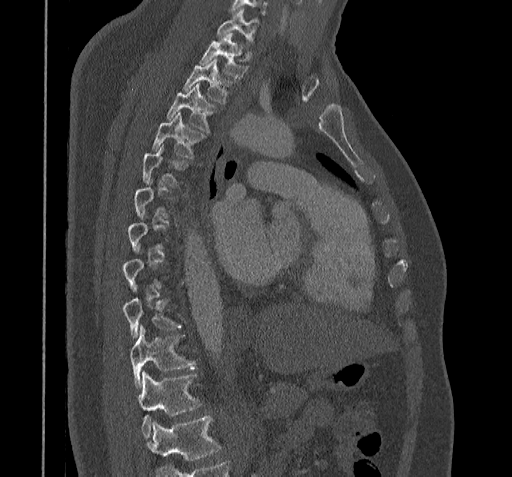
CT spine — sagittal view — bone window — 322 mm across the image
Not every vertebra on this slice has a box: a vertebra is boxed only from the first to the last slice where its cross-section is at least a third of its largest, and this slice is outside that range for at least one of them.
Where the bottom of the scan cuts through a vertebra, that vertebra gets no label or box.
<vertebrae><v name="T11" x1="138" y1="372" x2="201" y2="437"/><v name="T10" x1="130" y1="325" x2="194" y2="387"/><v name="T9" x1="122" y1="299" x2="180" y2="337"/><v name="T5" x1="141" y1="145" x2="186" y2="186"/><v name="T4" x1="152" y1="113" x2="202" y2="158"/><v name="T3" x1="167" y1="84" x2="215" y2="132"/><v name="T2" x1="183" y1="59" x2="231" y2="103"/><v name="T1" x1="199" y1="33" x2="247" y2="78"/><v name="C7" x1="216" y1="9" x2="258" y2="43"/></vertebrae>